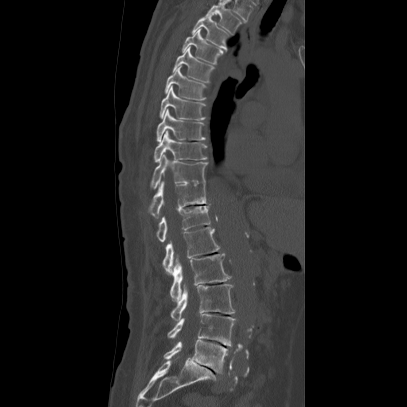
Spine computed tomography · the image spans 407 mm across · sagittal reformat · W/L 1800/400 HU

<vertebrae><v name="L5" x1="164" y1="339" x2="227" y2="373"/><v name="L4" x1="167" y1="314" x2="234" y2="346"/><v name="L3" x1="171" y1="282" x2="235" y2="322"/><v name="L2" x1="170" y1="253" x2="230" y2="301"/><v name="L1" x1="162" y1="227" x2="219" y2="273"/><v name="T12" x1="156" y1="205" x2="210" y2="242"/><v name="T11" x1="148" y1="181" x2="211" y2="218"/><v name="T10" x1="151" y1="154" x2="207" y2="189"/><v name="T9" x1="153" y1="131" x2="206" y2="162"/><v name="T8" x1="156" y1="108" x2="205" y2="142"/><v name="T7" x1="159" y1="85" x2="204" y2="120"/><v name="T6" x1="164" y1="65" x2="206" y2="100"/><v name="T5" x1="172" y1="46" x2="214" y2="82"/><v name="T4" x1="181" y1="28" x2="223" y2="64"/><v name="T3" x1="191" y1="15" x2="229" y2="50"/><v name="T2" x1="199" y1="1" x2="242" y2="34"/></vertebrae>